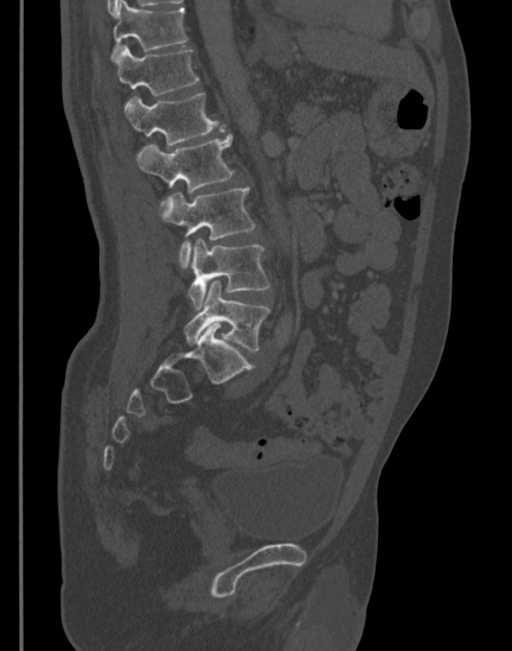
CT spine — sagittal reformat — 512x651 px — the image is 345 mm wide
Box edges are left/top/right/bottom in pixels.
T11: left=111, top=1, right=187, bottom=61
T12: left=114, top=45, right=199, bottom=96
L1: left=123, top=93, right=223, bottom=145
L2: left=136, top=134, right=233, bottom=206
L3: left=160, top=186, right=255, bottom=269
L4: left=188, top=239, right=269, bottom=310
L5: left=184, top=280, right=270, bottom=352